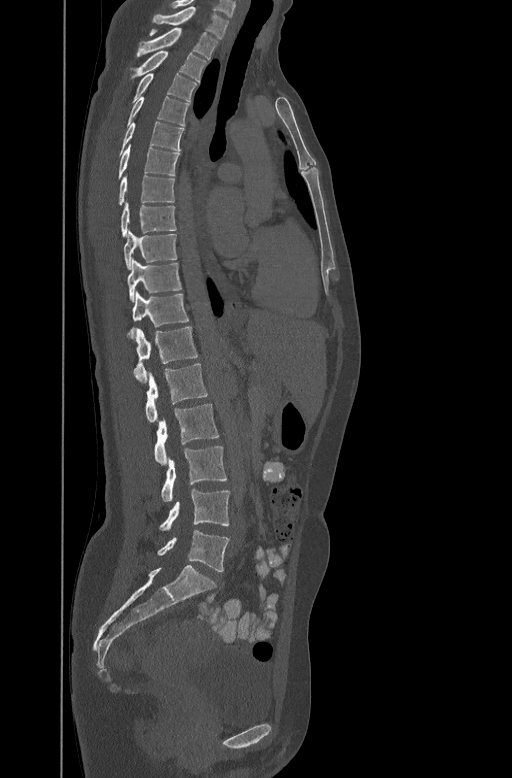
Computed tomography of the spine — sagittal view — W/L 1800/400 HU
Boxes: x1 y1 x2 y2 (pixel coords, space-separated). Vertebrae labeled: C7 at 152 5 229 37, T1 at 137 27 218 58, T2 at 132 49 206 79, T3 at 132 72 197 101, T4 at 128 95 189 125, T5 at 120 120 183 152, T6 at 118 144 179 177, T7 at 119 172 174 204, T8 at 120 200 175 236, T9 at 124 230 176 268, T10 at 127 258 181 300, T11 at 129 291 189 335, T12 at 134 325 197 381, L1 at 145 363 207 423, L2 at 155 404 219 465, L3 at 161 446 227 501, L4 at 159 489 229 530, L5 at 158 530 229 571.